CT, spine; the image is 250 mm wide; Sagittal slice 119/250
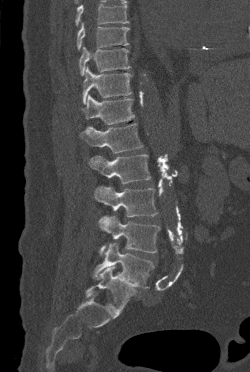 Box edges are left/top/right/bottom in pixels.
Vertebrae that run past the top of the scan are left unlabeled.
Vertebra bounding boxes:
- T9: left=77, top=23, right=129, bottom=50
- T10: left=79, top=46, right=130, bottom=76
- T11: left=82, top=66, right=132, bottom=104
- T12: left=81, top=94, right=134, bottom=124
- L1: left=80, top=123, right=143, bottom=153
- L2: left=89, top=154, right=150, bottom=184
- L3: left=94, top=186, right=157, bottom=217
- L4: left=99, top=215, right=160, bottom=255
- L5: left=93, top=242, right=154, bottom=287